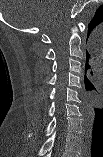
CT, spine; sagittal view; Bone window (WL 400, WW 1800)
Each box is [x1, y1, x2, y2] in pixels: top-left corner, then bottom-right corner.
The highest labeled vertebra in this scan is C1; the lowest is C7.
{"vertebrae":{"C1":[41,22,84,42],"C2":[45,26,84,59],"C3":[52,58,81,73],"C4":[46,72,81,87],"C5":[50,87,80,102],"C6":[48,102,81,116],"C7":[28,116,83,137]}}